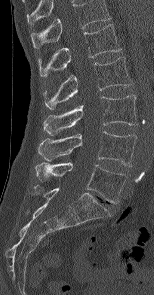
CT. the image is 154 mm wide. sagittal reformat
This scan's labels start at L1 at the top and end at L5 at the bottom.
<vertebrae><v name="L1" x1="38" y1="24" x2="121" y2="76"/><v name="L2" x1="43" y1="57" x2="132" y2="109"/><v name="L3" x1="43" y1="95" x2="137" y2="135"/><v name="L4" x1="38" y1="131" x2="136" y2="166"/><v name="L5" x1="35" y1="162" x2="127" y2="203"/></vertebrae>